Spine computed tomography · sagittal plane, index 126 · W/L 1800/400 HU · scan covers 17 annotated vertebrae
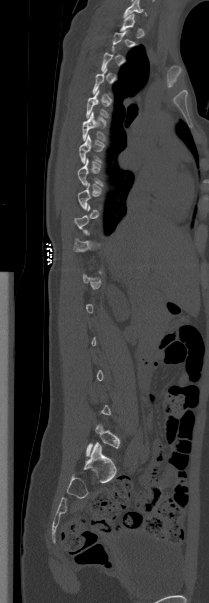

Each vertebra maps to its box as [x1, y1, x2, y2], the pixel coordinates of its top-left and bottom-right corners.
Each vertebra is boxed only on the slices from the first to the last where its cross-section reaches a third of its largest, so a slice outside that range leaves it unboxed.
{"vertebrae":{"T5":[86,90,107,118],"T6":[82,112,105,140]}}